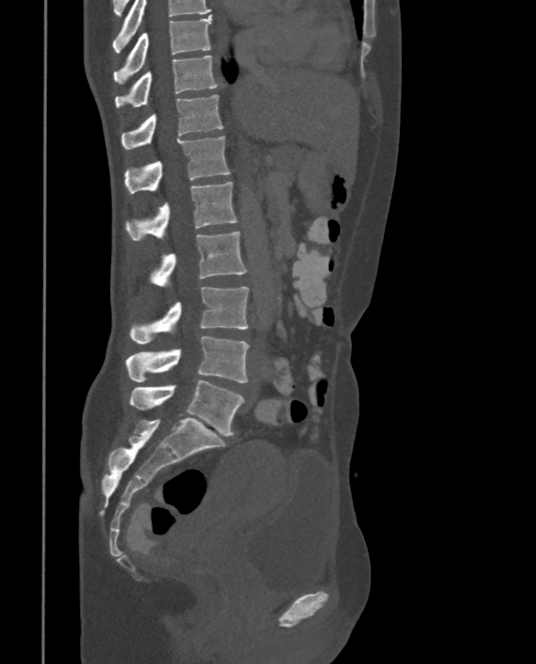
Spine CT · sagittal view · bone-window reconstruction
<vertebrae><v name="T9" x1="113" y1="14" x2="211" y2="83"/><v name="T10" x1="114" y1="56" x2="219" y2="109"/><v name="T11" x1="121" y1="94" x2="223" y2="149"/><v name="T12" x1="125" y1="136" x2="230" y2="193"/><v name="L1" x1="126" y1="181" x2="238" y2="242"/><v name="L2" x1="153" y1="231" x2="247" y2="289"/><v name="L3" x1="130" y1="287" x2="249" y2="343"/><v name="L4" x1="126" y1="336" x2="249" y2="382"/><v name="L5" x1="130" y1="380" x2="245" y2="435"/></vertebrae>